Spine computed tomography; sagittal plane, index 102; bone window
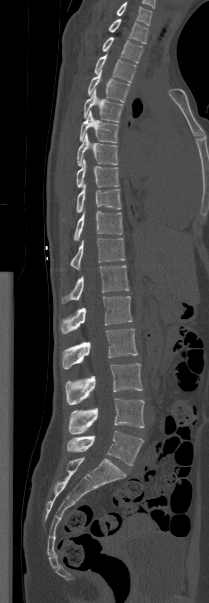

Coordinates as <box>x1,y1,x2,y2</box>.
Labels in this scan begin with T1 at the top and end with L5 at the bottom.
Vertebra bounding boxes:
- T1: <box>108,19,148,43</box>
- T2: <box>102,36,143,63</box>
- T3: <box>94,54,136,82</box>
- T4: <box>87,71,129,102</box>
- T5: <box>83,89,123,122</box>
- T6: <box>79,111,118,143</box>
- T7: <box>77,133,118,165</box>
- T8: <box>76,159,119,187</box>
- T9: <box>76,184,121,212</box>
- T10: <box>73,210,122,240</box>
- T11: <box>70,238,125,269</box>
- T12: <box>61,265,129,303</box>
- L1: <box>60,296,132,333</box>
- L2: <box>62,329,137,369</box>
- L3: <box>65,363,142,405</box>
- L4: <box>69,398,144,434</box>
- L5: <box>67,431,143,465</box>